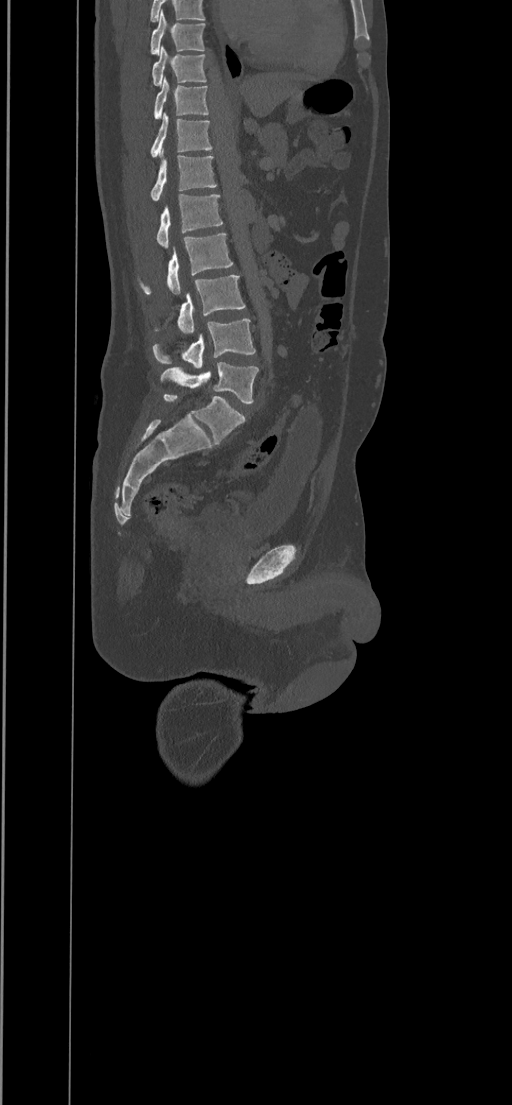

Spine CT. sagittal view. W/L 1800/400 HU. the image spans 434 mm across. 512x1105 px

Each box given as x1,y1,x2,y2.
Vertebra bounding boxes:
- T8: x1=151, y1=10, x2=205, y2=55
- T9: x1=152, y1=45, x2=207, y2=87
- T10: x1=154, y1=76, x2=208, y2=119
- T11: x1=151, y1=113, x2=212, y2=157
- T12: x1=151, y1=149, x2=216, y2=201
- L1: x1=157, y1=194, x2=222, y2=247
- L2: x1=139, y1=234, x2=232, y2=294
- L3: x1=178, y1=275, x2=245, y2=335
- L4: x1=153, y1=319, x2=255, y2=368
- L5: x1=160, y1=362, x2=258, y2=404